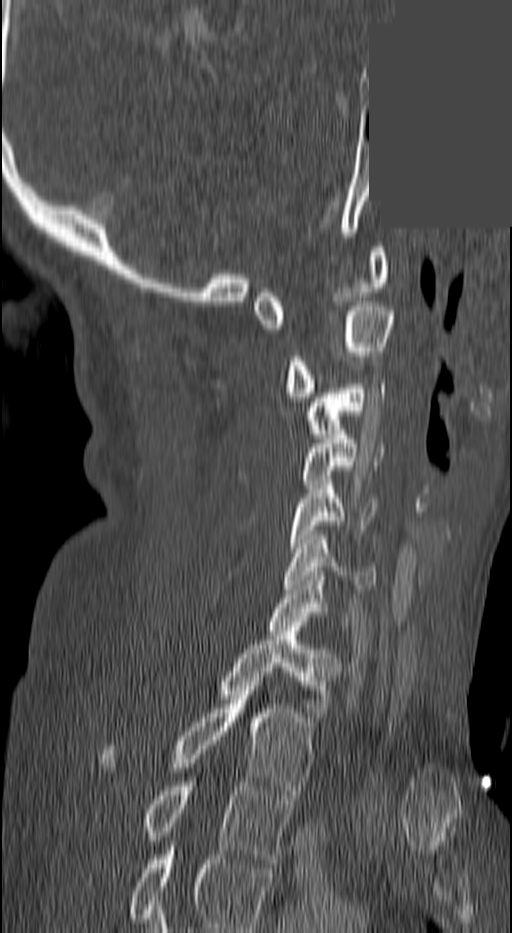
Spine computed tomography; sagittal reformat; a portion of the image is blanked out (constant pixel value)
Labels in this scan begin with C1 at the top and end with T3 at the bottom.
<vertebrae><v name="C1" x1="252" y1="247" x2="388" y2="328"/><v name="C2" x1="286" y1="302" x2="395" y2="397"/><v name="C3" x1="305" y1="384" x2="384" y2="438"/><v name="C4" x1="300" y1="434" x2="384" y2="484"/><v name="C5" x1="287" y1="480" x2="375" y2="552"/><v name="C6" x1="283" y1="535" x2="377" y2="589"/><v name="C7" x1="268" y1="576" x2="349" y2="630"/><v name="T1" x1="221" y1="631" x2="340" y2="717"/><v name="T2" x1="100" y1="681" x2="313" y2="794"/><v name="T3" x1="144" y1="782" x2="289" y2="863"/></vertebrae>